Spine computed tomography; sagittal reformat; 607x607 px; 10 vertebrae labeled in this scan
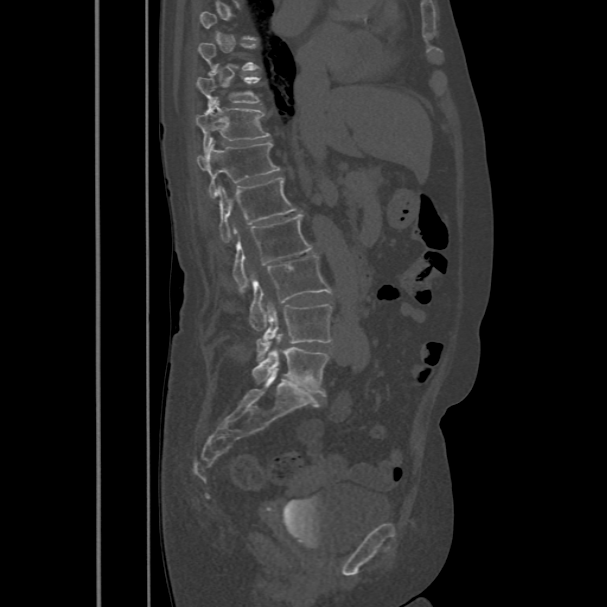

A vertebra gets a box only on the slices from the first to the last where its cross-section is at least a third of its largest; on a slice outside that range it gets none.
<vertebrae><v name="T9" x1="197" y1="43" x2="260" y2="72"/><v name="T10" x1="196" y1="75" x2="260" y2="106"/><v name="T11" x1="195" y1="97" x2="271" y2="152"/><v name="T12" x1="196" y1="142" x2="280" y2="197"/><v name="L1" x1="218" y1="177" x2="299" y2="242"/><v name="L2" x1="232" y1="215" x2="311" y2="289"/><v name="L3" x1="249" y1="255" x2="332" y2="329"/><v name="L4" x1="256" y1="305" x2="332" y2="357"/><v name="L5" x1="251" y1="336" x2="329" y2="395"/></vertebrae>